CT spine. Sagittal slice 213/427. W/L 1800/400 HU. 427x472 px. 9 vertebrae labeled in this scan
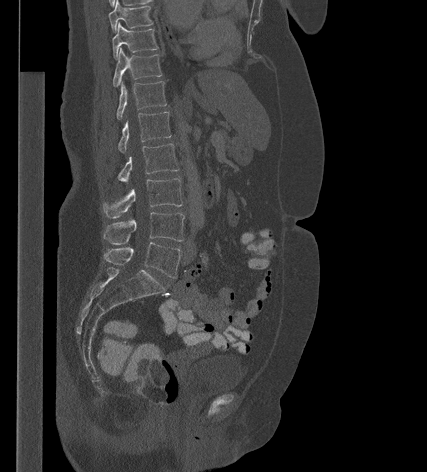

In the table, x1 and y1 are a box's top-left corner and x2 and y2 its bottom-right corner, in pixels.
| vertebra | x1 | y1 | x2 | y2 |
|---|---|---|---|---|
| T9 | 108 | 0 | 153 | 32 |
| T10 | 112 | 23 | 158 | 58 |
| T11 | 113 | 48 | 162 | 86 |
| T12 | 116 | 81 | 166 | 119 |
| L1 | 117 | 112 | 171 | 152 |
| L2 | 117 | 143 | 179 | 182 |
| L3 | 102 | 178 | 182 | 218 |
| L4 | 103 | 212 | 184 | 244 |
| L5 | 104 | 242 | 181 | 277 |